CT, spine · sagittal reformat · bone window
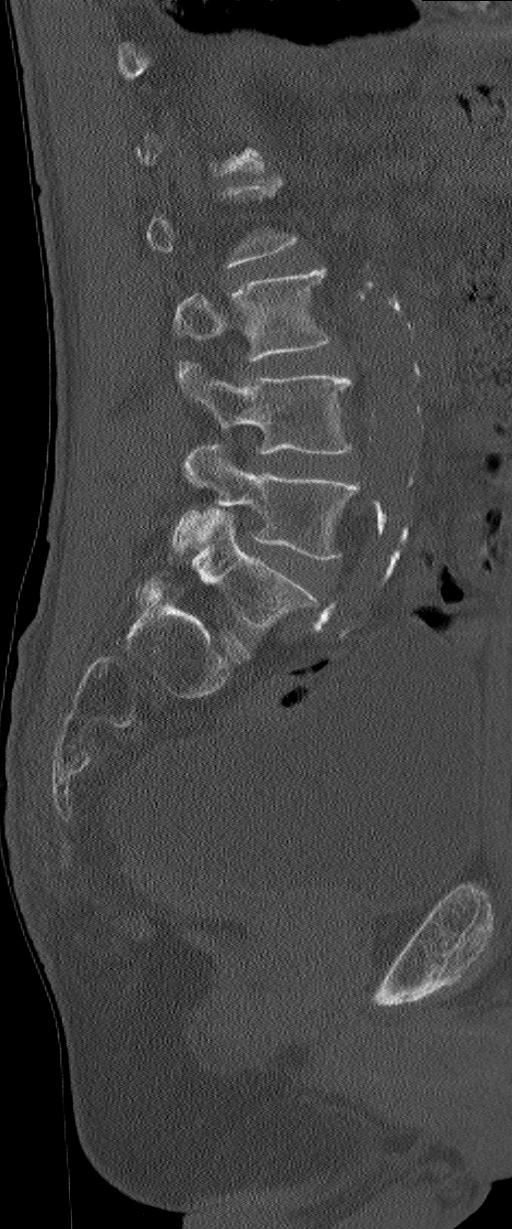
Boxes: x1 y1 x2 y2 (pixel coords, space-separated). Not every vertebra on this slice has a box: a vertebra is boxed only from the first to the last slice where its cross-section is at least a third of its largest, and this slice is outside that range for at least one of them. In these labels the spine has an L6, a sixth lumbar vertebra below L5. The labeled vertebrae in this slice are: L3 at 174 269 331 360, L4 at 177 361 352 454, L5 at 171 445 360 559, L6 at 192 510 318 630.